Spine CT. sagittal view. 10 vertebrae labeled in this scan
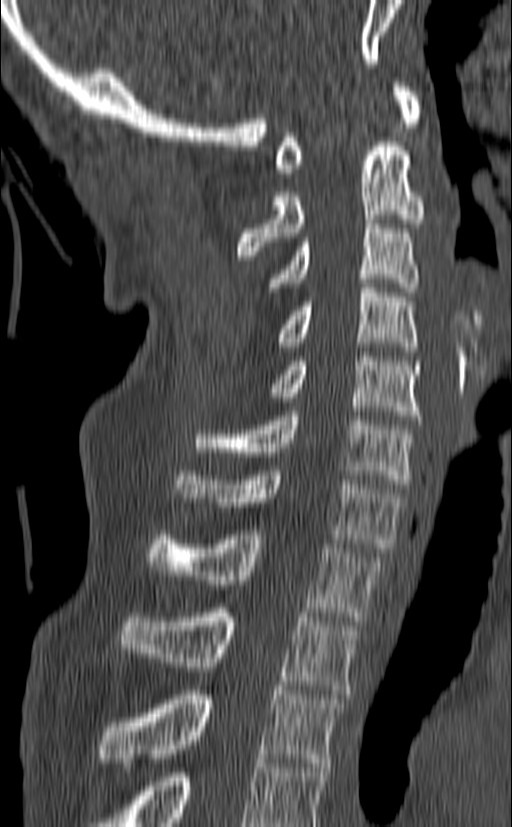
Coordinates as <box>x1,y1,x2,y2</box>.
This scan's labels start at C1 at the top and end at T3 at the bottom.
T3: <box>96,686,344,767</box>
T2: <box>118,608,359,694</box>
T1: <box>148,530,384,621</box>
C7: <box>177,466,403,552</box>
C6: <box>195,411,414,488</box>
C5: <box>268,352,421,420</box>
C4: <box>279,283,417,351</box>
C3: <box>268,219,418,292</box>
C2: <box>237,137,425,260</box>
C1: <box>275,82,423,177</box>